Spine computed tomography — image 227 mm wide — sagittal view — 768x1012 px
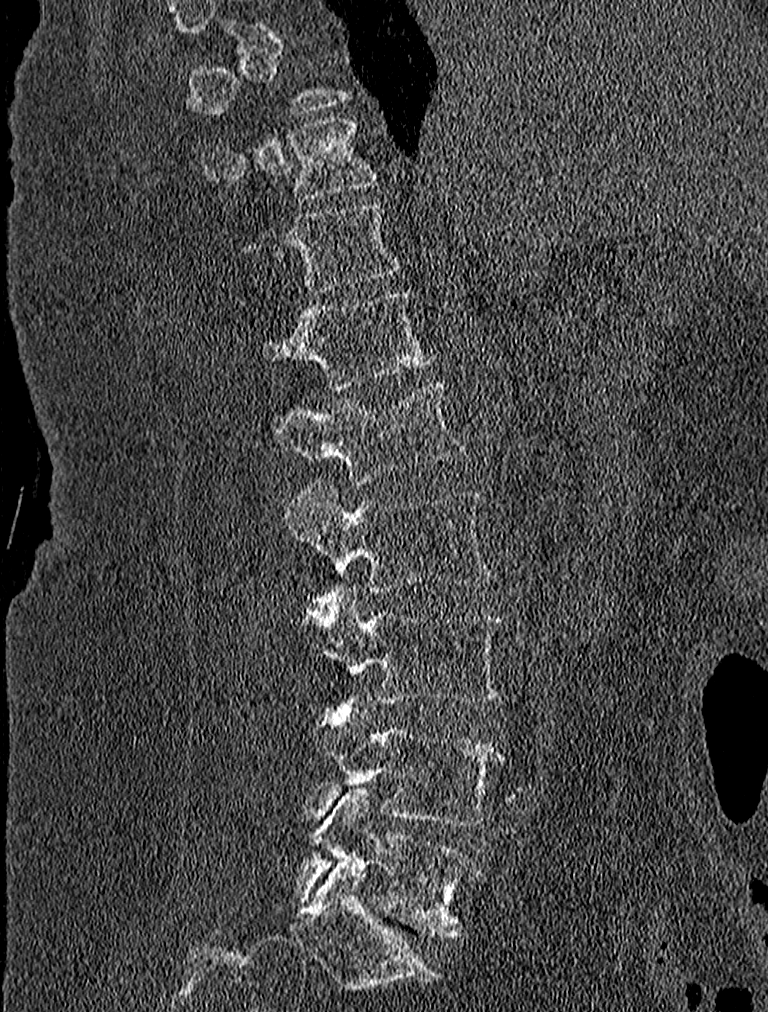 Box edges are left/top/right/bottom in pixels.
A vertebra is boxed only from the first to the last slice where its cross-section is at least a third of its largest; slices outside that range leave it without a box.
| vertebra | x1 | y1 | x2 | y2 |
|---|---|---|---|---|
| L5 | 294 | 787 | 482 | 938 |
| L4 | 311 | 696 | 505 | 826 |
| L3 | 301 | 588 | 505 | 704 |
| L2 | 283 | 481 | 495 | 593 |
| L1 | 269 | 379 | 465 | 483 |
| T12 | 260 | 288 | 438 | 389 |
| T11 | 239 | 202 | 400 | 293 |
| T10 | 201 | 116 | 380 | 198 |